CT; sagittal reformat; W/L 1800/400 HU; 228x376 px
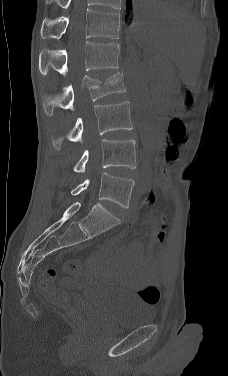
Box edges are left/top/right/bottom in pixels.
This scan's labels start at L1 at the top and end at L5 at the bottom.
| vertebra | x1 | y1 | x2 | y2 |
|---|---|---|---|---|
| L1 | 39 | 41 | 119 | 76 |
| L2 | 42 | 70 | 125 | 115 |
| L3 | 52 | 101 | 132 | 149 |
| L4 | 73 | 139 | 136 | 172 |
| L5 | 71 | 172 | 134 | 208 |